Spine computed tomography; Sagittal slice 229/512; scan covers 17 annotated vertebrae
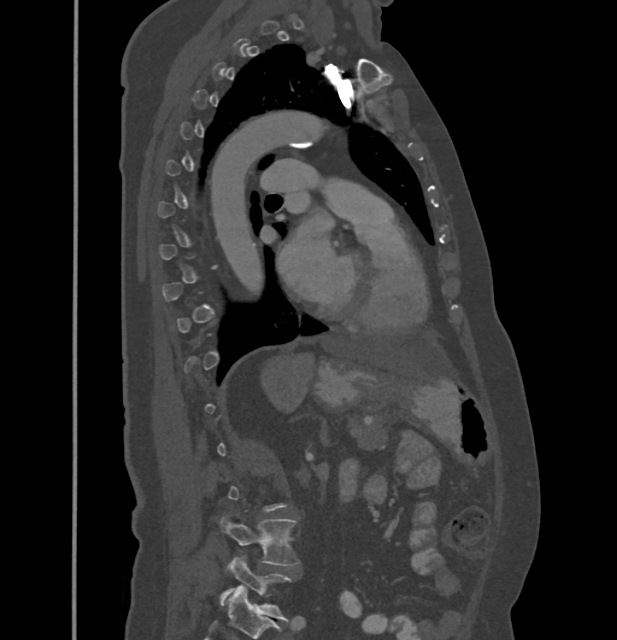
Coordinates as <box>x1,y1,x2,y2</box>.
A vertebra gets a box only on the slices from the first to the last where its cross-section is at least a third of its largest; on a slice outside that range it gets none.
L5: <box>219,557,291,621</box>
L4: <box>219,517,299,565</box>